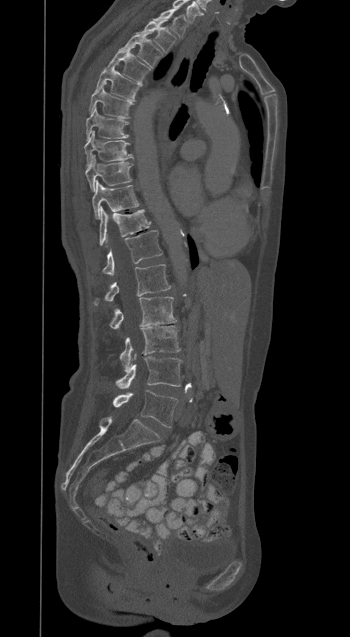

Spine CT · sagittal view · 350x637 px
Each box given as x1,y1,x2,y2.
| vertebra | x1 | y1 | x2 | y2 |
|---|---|---|---|---|
| T1 | 154 | 8 | 187 | 37 |
| T2 | 136 | 20 | 176 | 52 |
| T3 | 122 | 34 | 162 | 67 |
| T4 | 107 | 49 | 149 | 82 |
| T5 | 96 | 66 | 141 | 101 |
| T6 | 89 | 85 | 131 | 118 |
| T7 | 86 | 107 | 128 | 139 |
| T8 | 84 | 131 | 132 | 167 |
| T9 | 85 | 155 | 131 | 191 |
| T10 | 92 | 181 | 139 | 218 |
| T11 | 99 | 206 | 150 | 245 |
| T12 | 103 | 230 | 162 | 274 |
| L1 | 93 | 264 | 170 | 304 |
| L2 | 109 | 297 | 176 | 329 |
| L3 | 120 | 326 | 180 | 370 |
| L4 | 116 | 355 | 181 | 388 |
| L5 | 113 | 390 | 177 | 427 |